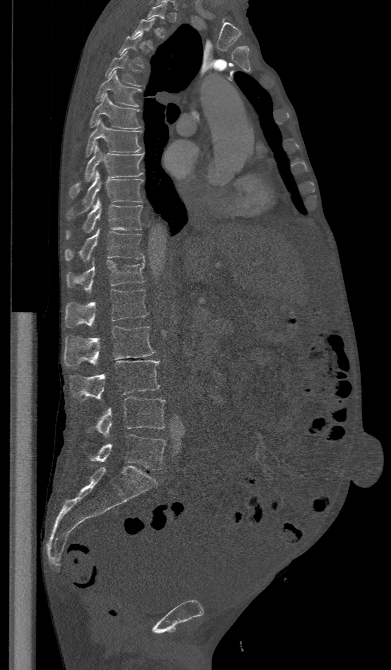 CT; sagittal reformat
Box values are [left, top, right, bottom] in pixels.
Each vertebra is boxed only on the slices from the first to the last where its cross-section reaches a third of its largest, so a slice outside that range leaves it unboxed.
{"vertebrae":{"T3":[118,32,144,66],"T4":[106,51,142,86],"T5":[95,70,141,106],"T6":[90,93,141,128],"T7":[85,118,142,157],"T8":[69,144,145,198],"T9":[67,171,142,218],"T10":[66,198,142,238],"T11":[65,227,144,261],"T12":[66,259,144,293],"L1":[65,289,147,326],"L2":[63,326,154,368],"L3":[69,360,159,401],"L4":[84,397,165,436],"L5":[87,434,165,470]}}